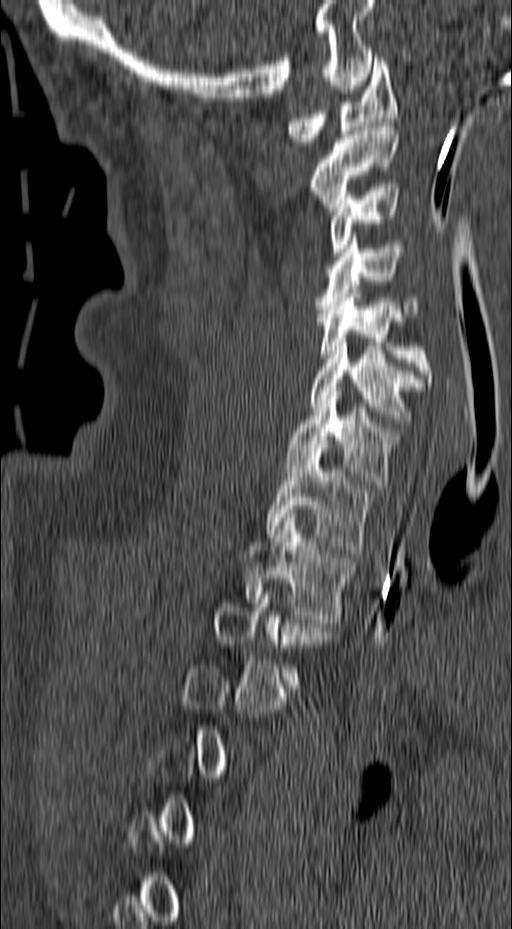

Computed tomography of the spine — sagittal view — Bone window (WL 400, WW 1800) — 512x929 px
Bounding boxes as [x1, y1, x2, y2] in pixel coordinates.
Each vertebra is boxed only on the slices from the first to the last where its cross-section reaches a third of its largest, so a slice outside that range leaves it unboxed.
Vertebra bounding boxes:
- C1: [286, 57, 398, 146]
- C2: [311, 122, 398, 215]
- C3: [331, 188, 399, 256]
- C4: [316, 236, 419, 317]
- C5: [317, 289, 432, 386]
- C6: [311, 338, 426, 423]
- C7: [285, 387, 398, 488]
- T1: [266, 448, 369, 549]
- T2: [245, 514, 352, 623]